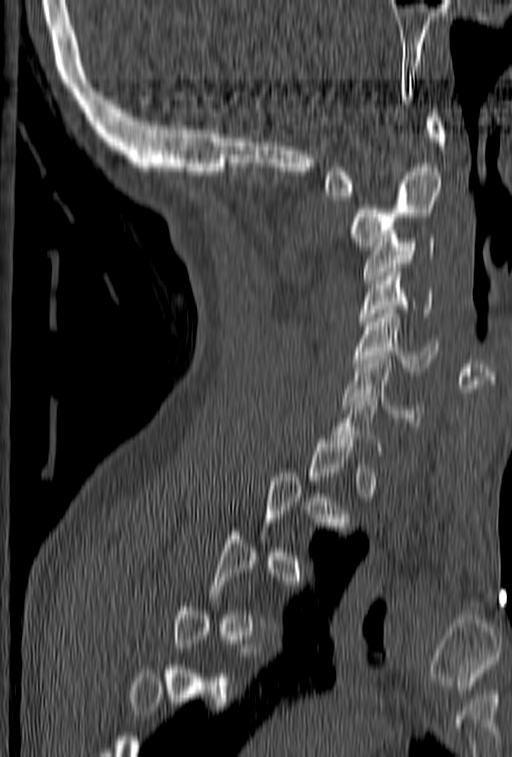

CT, spine. sagittal reformat. Bone window (WL 400, WW 1800). Coordinates as <box>x1,y1,x2,y2</box>.
Each vertebra is boxed only on the slices from the first to the last where its cross-section reaches a third of its largest, so a slice outside that range leaves it unboxed.
C7: <box>325,389,382,451</box>
C6: <box>343,356,423,421</box>
C5: <box>353,305,438,371</box>
C4: <box>359,264,432,329</box>
C3: <box>363,234,435,283</box>
C2: <box>349,167,442,250</box>
C1: <box>322,113,445,196</box>